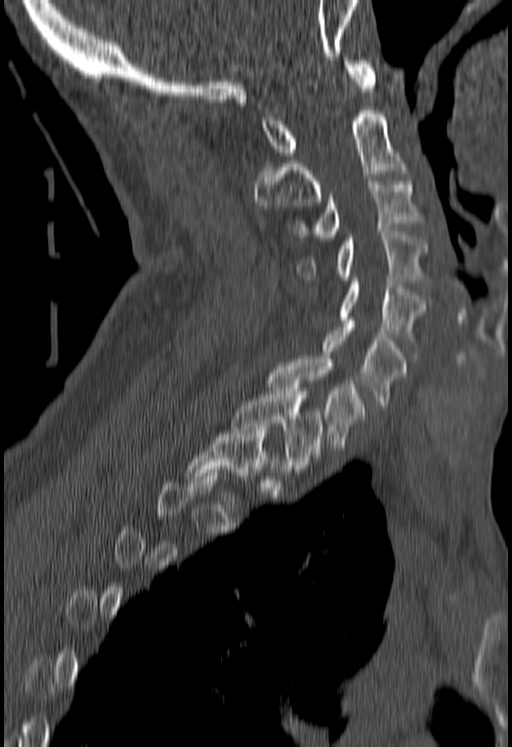

CT, spine · sagittal view · Bone window (WL 400, WW 1800) · 180 mm across the image · 512x747 px
Boxes below are [x1, y1, x2, y2] in pixels.
Not every vertebra on this slice has a box: a vertebra is boxed only from the first to the last slice where its cross-section is at least a third of its largest, and this slice is outside that range for at least one of them.
{"vertebrae":{"C1":[260,57,375,155],"C2":[251,107,407,209],"C3":[291,181,424,241],"C4":[298,231,429,283],"C5":[339,277,426,340],"C6":[322,320,407,408],"C7":[268,356,365,451],"T1":[231,391,322,472]}}